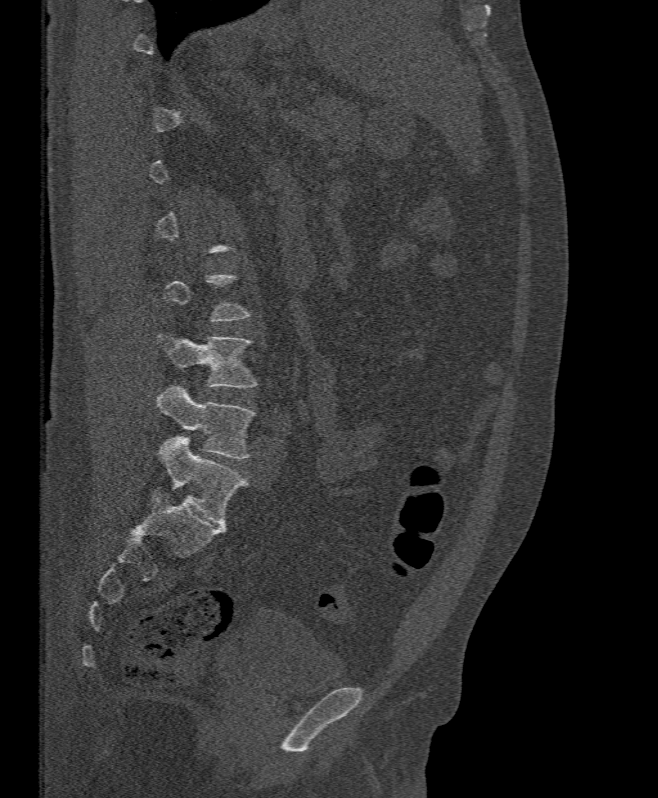 CT spine — sagittal reformat — 395 mm wide

Box values are [left, top, right, bottom] in pixels.
Each vertebra is boxed only on the slices from the first to the last where its cross-section reaches a third of its largest, so a slice outside that range leaves it unboxed.
{"vertebrae":{"L4":[158,334,255,387],"L5":[157,387,255,459]}}